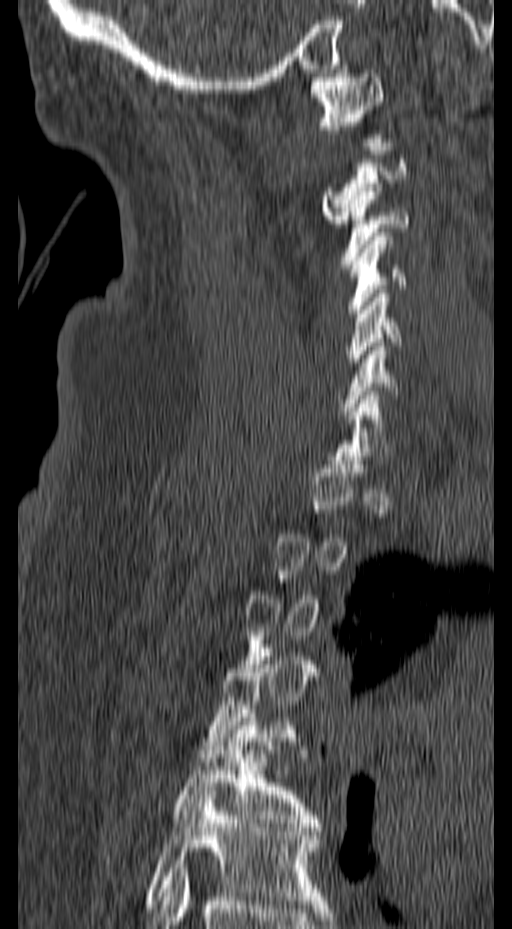 CT spine — sagittal view — 512x929 px
Columns x1, y1, x2, y2 give each box's top-left and bottom-right pixels.
Not every vertebra on this slice has a box: a vertebra is boxed only from the first to the last slice where its cross-section is at least a third of its largest, and this slice is outside that range for at least one of them.
| vertebra | x1 | y1 | x2 | y2 |
|---|---|---|---|---|
| C1 | 309 | 69 | 385 | 142 |
| C3 | 340 | 183 | 409 | 268 |
| C4 | 346 | 232 | 407 | 313 |
| C5 | 347 | 289 | 401 | 370 |
| T5 | 174 | 713 | 321 | 831 |
| T6 | 145 | 787 | 326 | 908 |